Computed tomography of the spine · sagittal plane, index 242 · Bone window (WL 400, WW 1800)
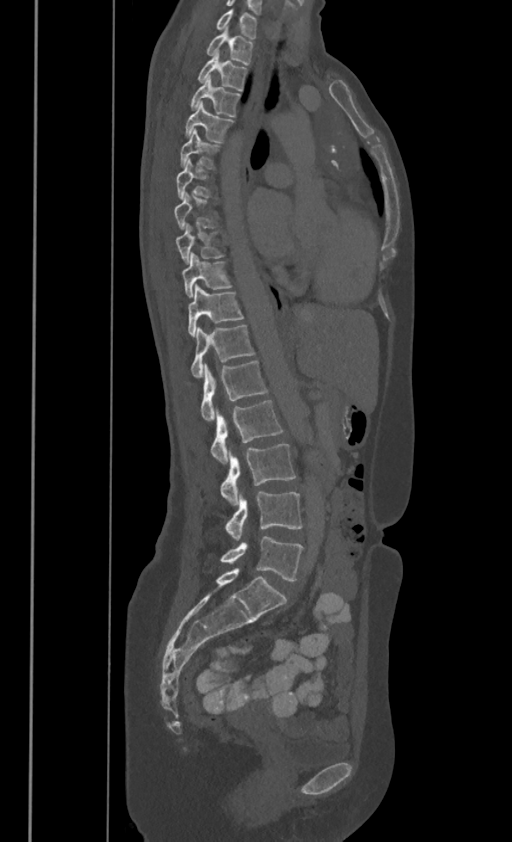 Each box given as x1,y1,x2,y2.
These labels give this spine no T12: after T11 the next vertebra is L1.
Vertebra bounding boxes:
- L5: x1=220, y1=537, x2=303, y2=580
- L4: x1=225, y1=492, x2=301, y2=540
- L3: x1=220, y1=444, x2=295, y2=505
- L2: x1=211, y1=399, x2=281, y2=465
- L1: x1=200, y1=359, x2=267, y2=422
- T11: x1=191, y1=324, x2=254, y2=376
- T10: x1=188, y1=283, x2=243, y2=334
- T9: x1=182, y1=252, x2=231, y2=296
- T8: x1=176, y1=222, x2=223, y2=263
- T7: x1=174, y1=192, x2=218, y2=228
- T6: x1=176, y1=158, x2=211, y2=197
- T5: x1=180, y1=128, x2=219, y2=167
- T4: x1=186, y1=100, x2=234, y2=141
- T3: x1=191, y1=74, x2=240, y2=115
- T2: x1=197, y1=50, x2=247, y2=89
- T1: x1=207, y1=26, x2=252, y2=63
- C7: x1=216, y1=7, x2=256, y2=37